CT, spine · sagittal plane, index 316 · the image is 140 mm wide · bone window · scan covers 10 annotated vertebrae
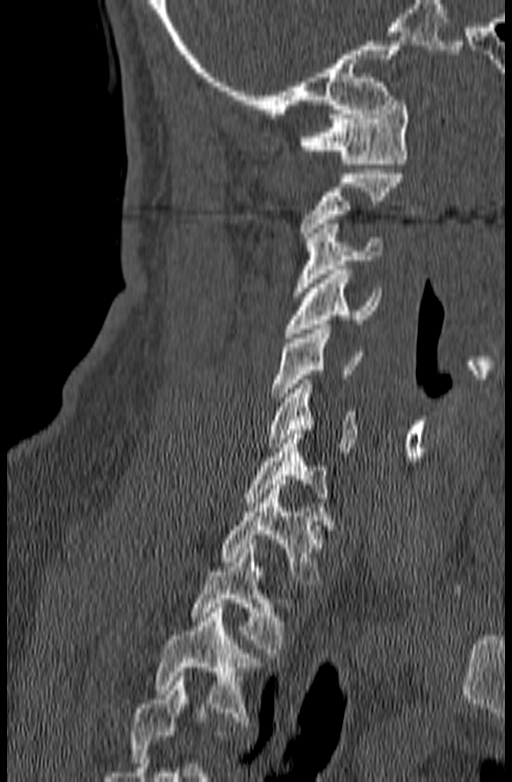
Each box given as x1,y1,x2,y2.
A vertebra cut off by the bottom edge of the scan is not labeled and has no box.
Vertebra bounding boxes:
- C1: x1=299, y1=101, x2=409, y2=168
- C2: x1=299, y1=169, x2=403, y2=241
- C3: x1=292, y1=224, x2=381, y2=296
- C4: x1=284, y1=270, x2=382, y2=337
- C5: x1=271, y1=325, x2=362, y2=401
- C6: x1=267, y1=379, x2=356, y2=452
- C7: x1=243, y1=430, x2=326, y2=506
- T1: x1=221, y1=485, x2=334, y2=584
- T2: x1=190, y1=544, x2=291, y2=657
- T3: x1=155, y1=603, x2=259, y2=726